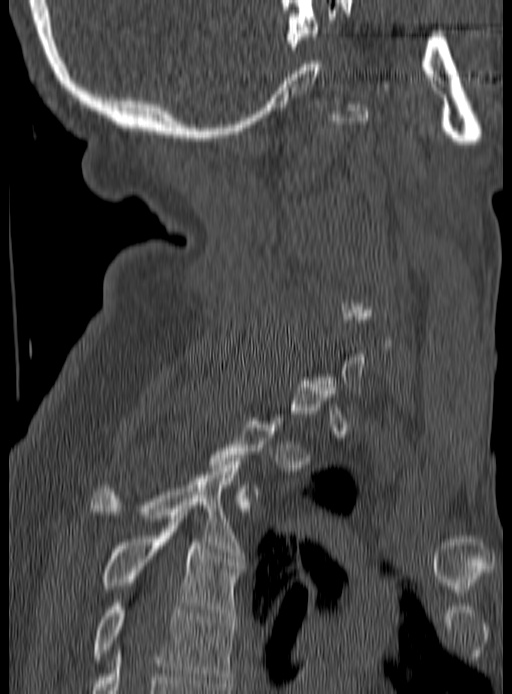 Spine computed tomography. sagittal reformat. W/L 1800/400 HU. 512x694 px
Coordinates as <box>x1,y1,x2,y2</box>.
A vertebra gets a box only on the slices from the first to the last where its cross-section is at least a third of its largest; on a slice outside that range it gets none.
T3: <box>92,458,242,558</box>
T4: <box>103,522,242,619</box>
T5: <box>92,603,234,686</box>